CT spine. sagittal reformat. 10 vertebrae labeled in this scan. 403 mm image width
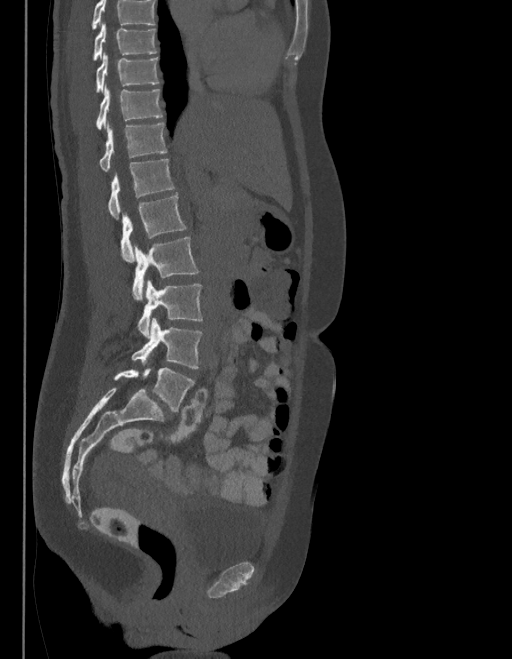

Bounding boxes as [x1, y1, x2, y2] in pixel coordinates. A vertebra cut off by the top edge of the scan is not labeled and has no box. The labels name a sixth lumbar vertebra for this spine: L6, after L5. 10 vertebrae labeled — L6 at [114, 368, 193, 412]; L5 at [132, 318, 201, 368]; L4 at [138, 280, 202, 337]; L3 at [132, 237, 198, 300]; L2 at [121, 196, 186, 261]; L1 at [108, 159, 174, 219]; T12 at [99, 122, 167, 172]; T11 at [96, 86, 161, 129]; T10 at [96, 53, 158, 93]; T9 at [93, 22, 156, 60].